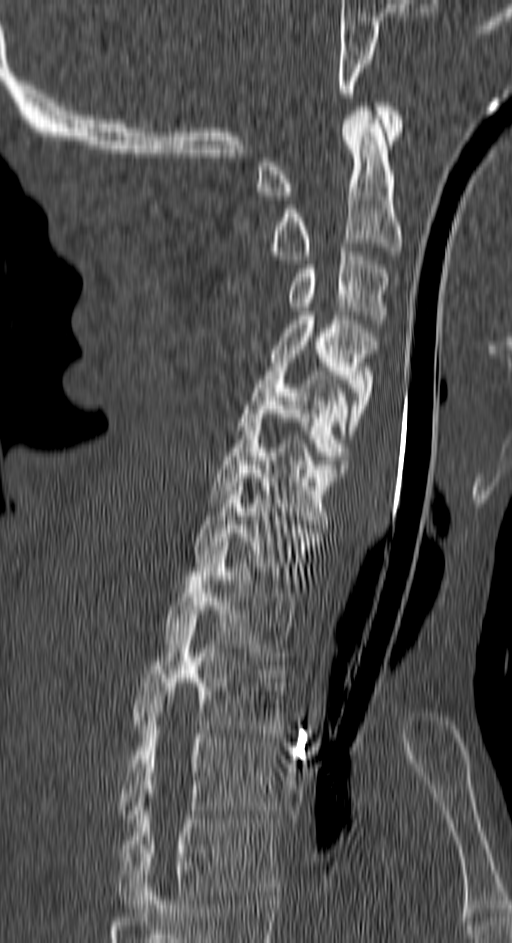

CT — sagittal view — Bone window (WL 400, WW 1800). Columns x1, y1, x2, y2 give each box's top-left and bottom-right pixels.
| vertebra | x1 | y1 | x2 | y2 |
|---|---|---|---|---|
| T4 | 117 | 798 | 277 | 908 |
| T3 | 121 | 717 | 277 | 822 |
| T2 | 131 | 619 | 284 | 733 |
| T1 | 165 | 546 | 297 | 660 |
| C7 | 196 | 474 | 321 | 588 |
| C6 | 209 | 418 | 345 | 528 |
| C5 | 236 | 363 | 348 | 468 |
| C4 | 271 | 311 | 376 | 438 |
| C3 | 288 | 247 | 389 | 323 |
| C2 | 271 | 107 | 403 | 259 |
| C1 | 257 | 102 | 403 | 200 |